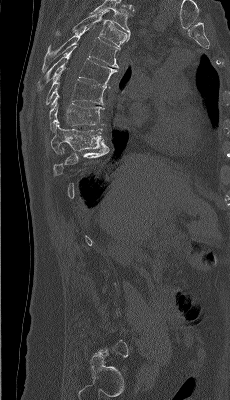 Spine computed tomography. sagittal view. bone-window reconstruction. 230x400 px
Coordinates as <box>x1,y1,x2,y2</box>.
A vertebra gets a box only on the slices from the first to the last where its cross-section is at least a third of its largest; on a slice outside that range it gets none.
This scan's labels start at T4 at the top and end at L5 at the bottom.
Vertebra bounding boxes:
- T9: <box>51,120,104,153</box>
- T8: <box>49,93,104,131</box>
- T7: <box>45,67,105,104</box>
- T6: <box>38,47,117,89</box>
- T5: <box>41,26,120,72</box>
- T4: <box>55,10,130,47</box>